CT, spine · sagittal plane, index 91 · scan covers 5 annotated vertebrae · 154 mm across the image
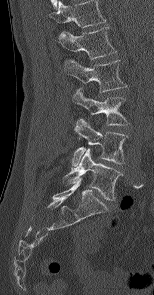

Box edges are left/top/right/bottom in pixels.
Labels in this scan begin with L1 at the top and end with L5 at the bottom.
| vertebra | x1 | y1 | x2 | y2 |
|---|---|---|---|---|
| L1 | 58 | 27 | 116 | 59 |
| L2 | 64 | 60 | 124 | 91 |
| L3 | 73 | 88 | 129 | 125 |
| L4 | 72 | 118 | 126 | 166 |
| L5 | 64 | 148 | 122 | 200 |